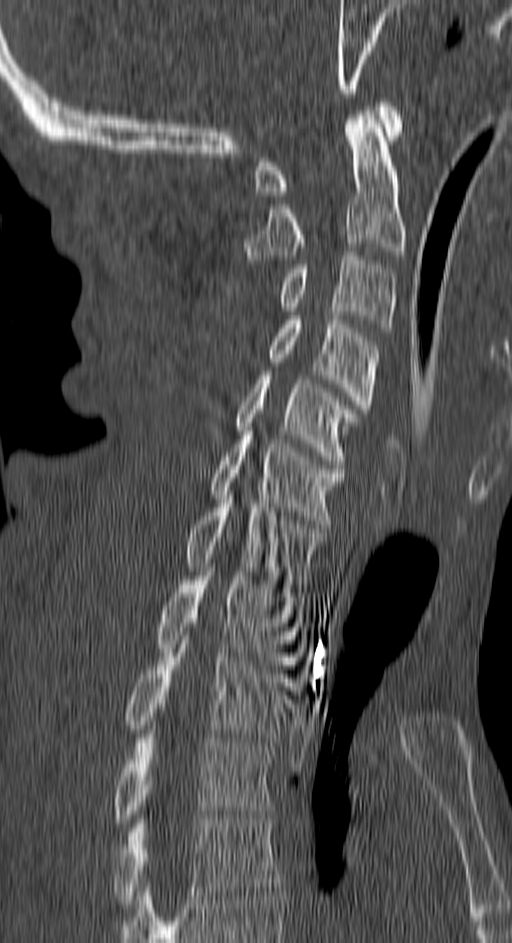 CT spine · sagittal view · 512x943 px
Boxes: x1 y1 x2 y2 (pixel coords, space-separated).
Vertebra bounding boxes:
- C1: 254 98 403 195
- C2: 244 107 406 264
- C3: 278 252 396 332
- C4: 267 316 379 434
- C5: 237 371 358 464
- C6: 209 435 345 524
- C7: 182 495 324 588
- T1: 155 576 303 669
- T2: 124 640 288 741
- T3: 114 730 273 827
- T4: 114 815 280 908